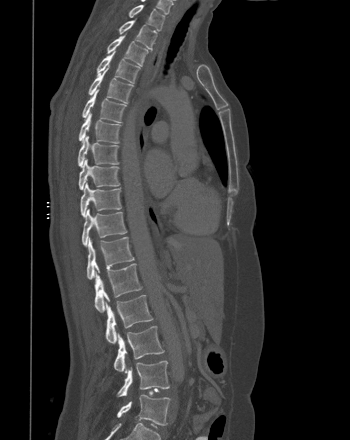
CT, spine · sagittal view · 350x440 px · the image spans 350 mm across
Box edges are left/top/right/bottom in pixels.
T1: left=129, top=5, right=164, bottom=30
T2: left=119, top=20, right=157, bottom=50
T3: left=107, top=34, right=148, bottom=65
T4: left=97, top=50, right=140, bottom=83
T5: left=88, top=68, right=133, bottom=103
T6: left=82, top=89, right=126, bottom=122
T7: left=79, top=112, right=121, bottom=143
T8: left=77, top=135, right=118, bottom=167
T9: left=78, top=158, right=120, bottom=189
T10: left=80, top=181, right=121, bottom=217
T11: left=82, top=208, right=127, bottom=246
T12: left=87, top=237, right=134, bottom=279
L1: left=94, top=263, right=142, bottom=312
L2: left=105, top=295, right=153, bottom=343
L3: left=113, top=326, right=164, bottom=371
L4: left=117, top=360, right=169, bottom=396
L5: left=117, top=394, right=170, bottom=425